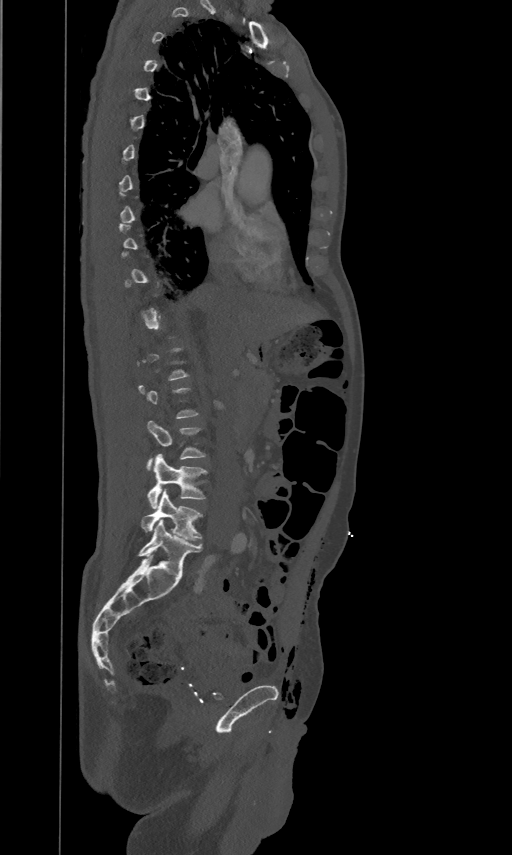 Computed tomography of the spine — sagittal view — image 461 mm wide — W/L 1800/400 HU — 512x855 px
Bounding boxes as [x1, y1, x2, y2] in pixel coordinates.
A vertebra gets a box only on the slices from the first to the last where its cross-section is at least a third of its largest; on a slice outside that range it gets none.
L3: [146, 420, 205, 470]
L4: [147, 454, 206, 509]
L5: [141, 491, 202, 540]